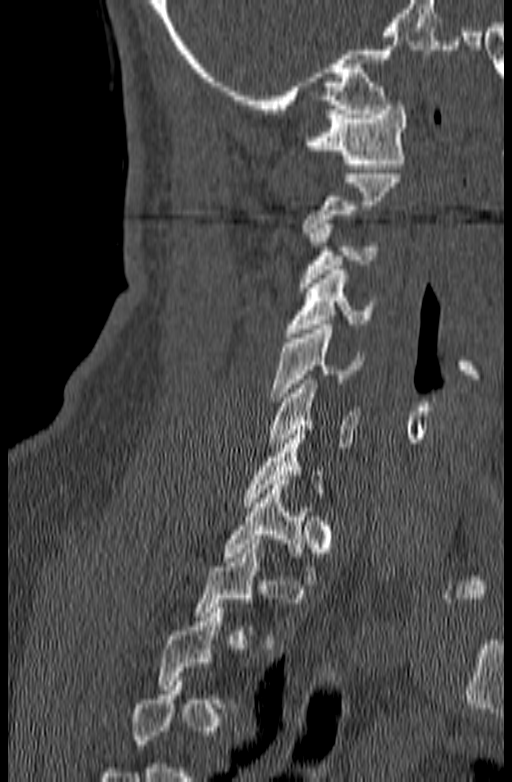 Spine CT — sagittal reformat
Boxes are (x1, y1, x2, y2) in pixels.
A vertebra is boxed only from the first to the last slice where its cross-section is at least a third of its largest; slices outside that range leave it without a box.
C1: (304, 101, 407, 168)
C2: (300, 174, 401, 232)
C3: (299, 224, 377, 287)
C4: (285, 270, 373, 337)
C5: (271, 325, 363, 401)
C6: (268, 375, 359, 452)
T1: (221, 480, 327, 584)